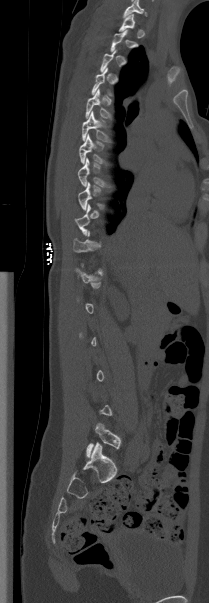

Computed tomography of the spine — sagittal view — bone-window reconstruction
Each vertebra maps to its box as [x1, y1, x2, y2], the pixel coordinates of its top-left and bottom-right corners.
A vertebra is boxed only from the first to the last slice where its cross-section is at least a third of its largest; slices outside that range leave it without a box.
{"vertebrae":{"T5":[85,89,110,118],"T6":[82,111,110,141],"T7":[79,134,107,163],"T8":[78,158,108,186],"L5":[86,423,121,457]}}